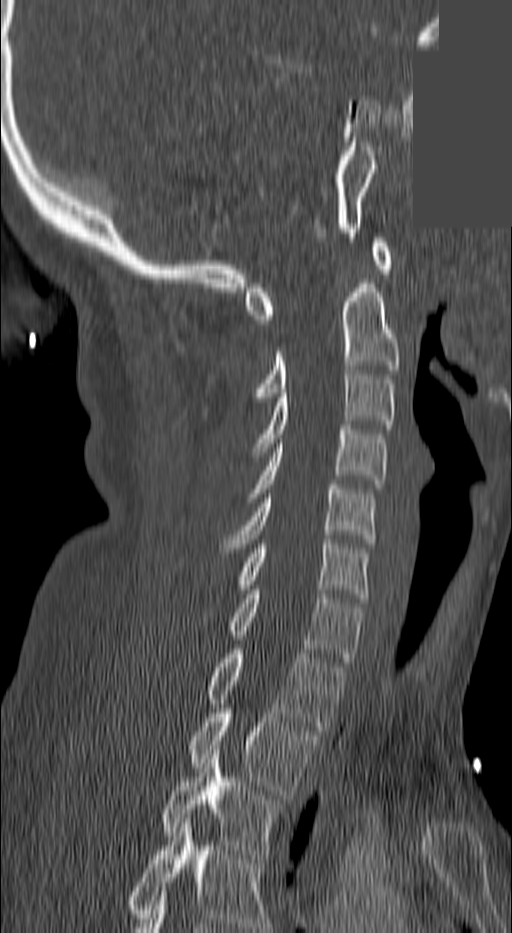 CT spine · sagittal view · bone-window reconstruction · 512x933 px · some of the image was removed or blocked out with constant pixels
Each box given as x1,y1,x2,y2.
Labels in this scan begin with C1 at the top and end with T3 at the bottom.
Vertebra bounding boxes:
- C1: x1=246, y1=238, x2=392, y2=324
- C2: x1=257, y1=283, x2=399, y2=401
- C3: x1=249, y1=370, x2=395, y2=456
- C4: x1=246, y1=425, x2=388, y2=497
- C5: x1=220, y1=485, x2=373, y2=552
- C6: x1=239, y1=539, x2=370, y2=598
- C7: x1=228, y1=590, x2=362, y2=662
- T1: x1=206, y1=649, x2=344, y2=730
- T2: x1=188, y1=709, x2=316, y2=794
- T3: x1=162, y1=750, x2=282, y2=858